Spine computed tomography — Sagittal slice 197/512 — bone-window reconstruction — 512x855 px — scan covers 16 annotated vertebrae
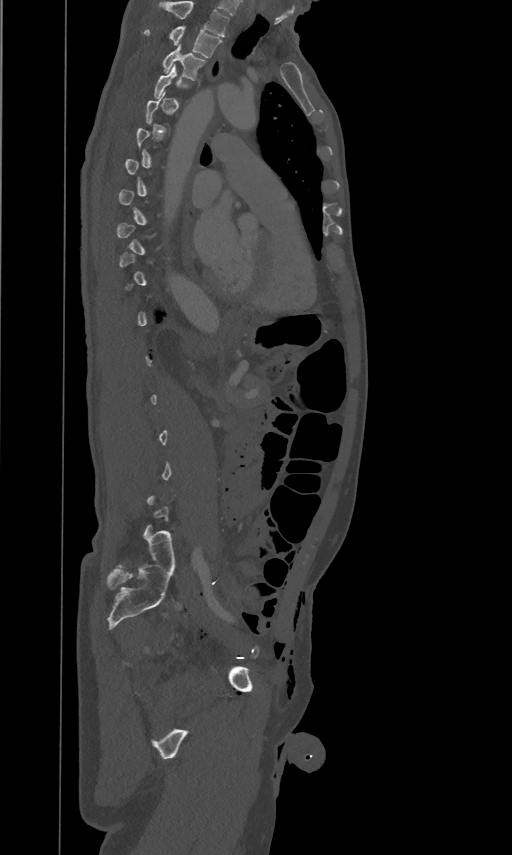 In the table, x1 and y1 are a box's top-left corner and x2 and y2 its bottom-right corner, in pixels.
Each vertebra is boxed only on the slices from the first to the last where its cross-section reaches a third of its largest, so a slice outside that range leaves it unboxed.
The highest labeled vertebra in this scan is T2; the lowest is L5.
| vertebra | x1 | y1 | x2 | y2 |
|---|---|---|---|---|
| T2 | 144 | 25 | 222 | 57 |
| T3 | 163 | 44 | 204 | 80 |